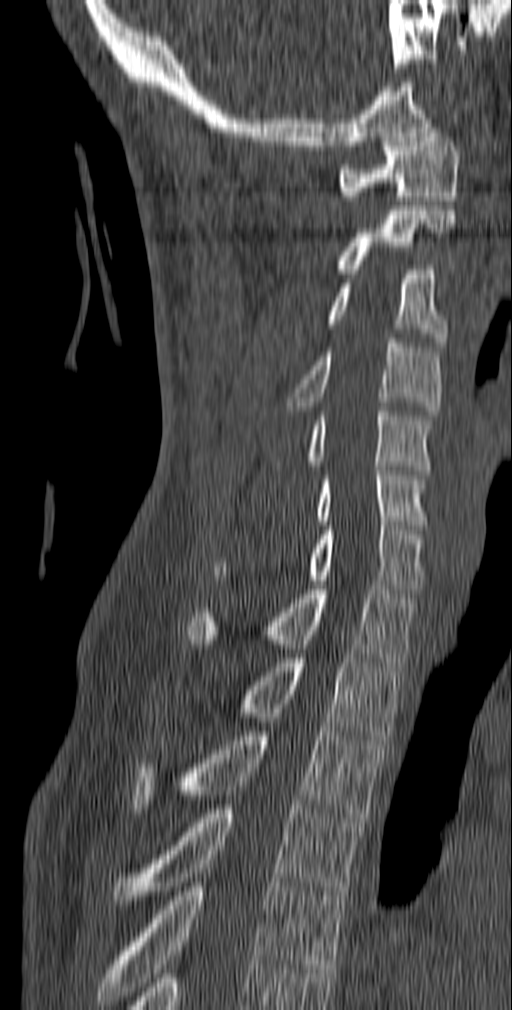 Spine CT. sagittal reformat
Each box given as x1,y1,x2,y2.
| vertebra | x1 | y1 | x2 | y2 |
|---|---|---|---|---|
| C1 | 338 | 128 | 460 | 200 |
| C2 | 334 | 210 | 456 | 273 |
| C3 | 323 | 270 | 448 | 346 |
| C4 | 287 | 338 | 443 | 415 |
| C5 | 307 | 407 | 432 | 474 |
| C6 | 315 | 466 | 428 | 525 |
| C7 | 213 | 521 | 425 | 593 |
| T1 | 187 | 585 | 417 | 666 |
| T2 | 231 | 658 | 404 | 740 |
| T3 | 131 | 727 | 385 | 822 |
| T4 | 111 | 805 | 362 | 904 |
| T5 | 98 | 878 | 344 | 1005 |